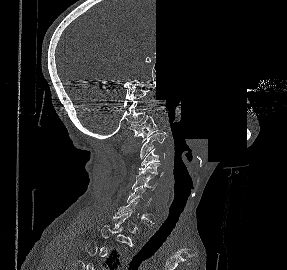
CT spine — sagittal view — bone-window reconstruction — image width 287 mm — 287x270 px — part of the scan has been removed (filled with constant black)

In the table, x1 and y1 are a box's top-left corner and x2 and y2 its bottom-right corner, in pixels.
Each vertebra is boxed only on the slices from the first to the last where its cross-section reaches a third of its largest, so a slice outside that range leaves it unboxed.
| vertebra | x1 | y1 | x2 | y2 |
|---|---|---|---|---|
| C7 | 115 | 199 | 154 | 223 |
| C6 | 127 | 186 | 154 | 216 |
| C5 | 132 | 178 | 157 | 190 |
| C4 | 136 | 162 | 163 | 178 |
| C3 | 138 | 148 | 164 | 169 |
| C2 | 140 | 131 | 166 | 158 |
| C1 | 130 | 115 | 158 | 142 |